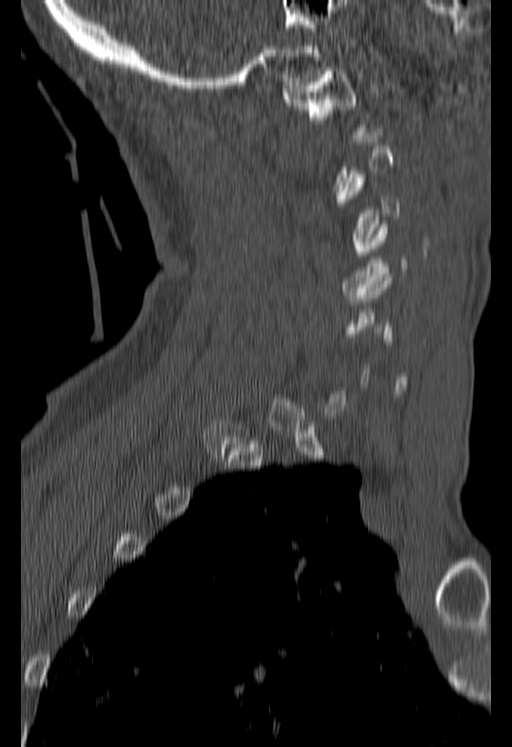

Computed tomography of the spine; 180 mm wide; sagittal view
Bounding boxes as [x1, y1, x2, y2] in pixel coordinates.
A vertebra gets a box only on the slices from the first to the last where its cross-section is at least a third of its largest; on a slice outside that range it gets none.
C4: [342, 224, 407, 301]
C3: [340, 171, 398, 251]
C1: [284, 71, 364, 138]